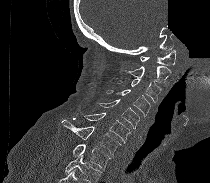

CT — sagittal view — W/L 1800/400 HU — 210x183 px — some of the image was removed or blocked out with constant pixels
Each box is [x1, y1, x2, y2] in pixels: top-left corner, then bottom-right corner.
No box is given to a vertebra that the bottom edge of the scan cuts off.
{"vertebrae":{"C1":[140,49,176,65],"C2":[119,53,171,83],"C3":[117,78,161,102],"C4":[106,88,150,116],"C5":[97,99,140,128],"C6":[84,113,131,144],"C7":[61,120,120,156],"T1":[72,144,110,171]}}